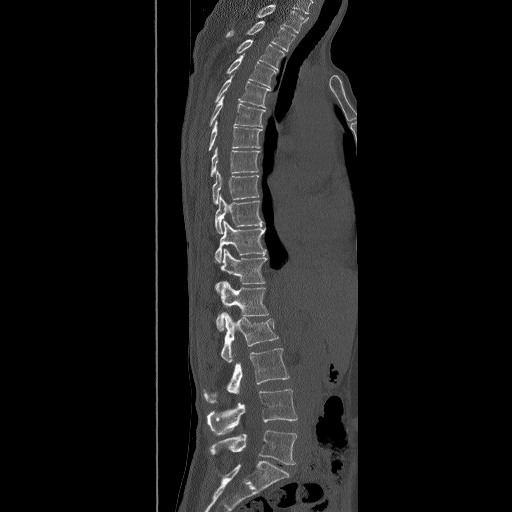

CT, spine — sagittal view — bone-window reconstruction — 490 mm across the image. Each box given as x1,y1,x2,y2.
Labels in this scan begin with T2 at the top and end with L5 at the bottom.
| vertebra | x1 | y1 | x2 | y2 |
|---|---|---|---|---|
| L5 | 208 | 430 | 297 | 465 |
| L4 | 207 | 388 | 297 | 435 |
| L3 | 203 | 348 | 290 | 403 |
| L2 | 221 | 312 | 278 | 362 |
| L1 | 216 | 281 | 269 | 331 |
| T12 | 214 | 248 | 267 | 295 |
| T11 | 213 | 220 | 266 | 263 |
| T10 | 215 | 196 | 263 | 234 |
| T9 | 212 | 170 | 258 | 205 |
| T8 | 210 | 147 | 260 | 176 |
| T7 | 208 | 120 | 262 | 150 |
| T6 | 209 | 96 | 265 | 127 |
| T5 | 215 | 72 | 270 | 108 |
| T4 | 226 | 53 | 276 | 87 |
| T3 | 235 | 39 | 284 | 71 |
| T2 | 226 | 21 | 295 | 51 |